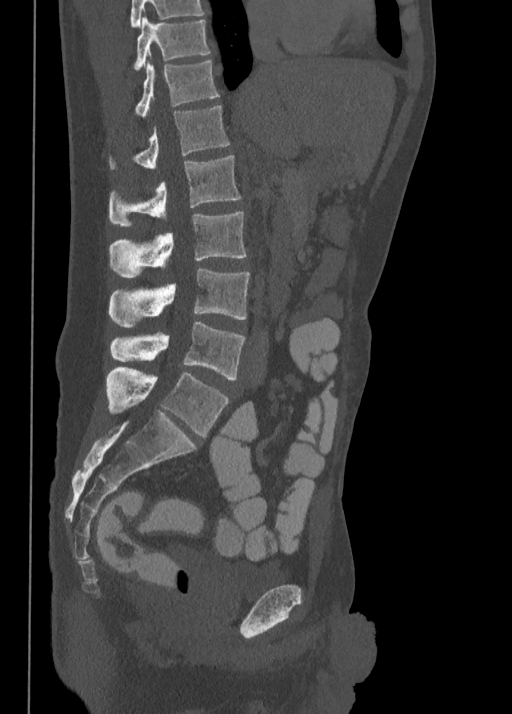 CT, spine · 350 mm image width · sagittal view · Bone window (WL 400, WW 1800)
In the table, x1 and y1 are a box's top-left corner and x2 and y2 its bottom-right corner, in pixels.
This scan's labels start at T10 at the top and end at L5 at the bottom.
| vertebra | x1 | y1 | x2 | y2 |
|---|---|---|---|---|
| T10 | 133 | 17 | 209 | 69 |
| T11 | 136 | 59 | 218 | 116 |
| T12 | 109 | 105 | 230 | 171 |
| L1 | 109 | 155 | 240 | 225 |
| L2 | 109 | 212 | 246 | 277 |
| L3 | 109 | 269 | 249 | 327 |
| L4 | 109 | 321 | 245 | 379 |
| L5 | 107 | 367 | 228 | 436 |